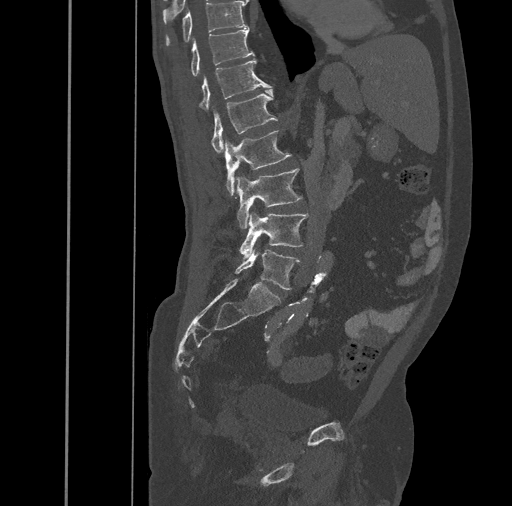 CT spine; sagittal view

<vertebrae><v name="L5" x1="235" y1="249" x2="299" y2="290"/><v name="L4" x1="239" y1="213" x2="308" y2="258"/><v name="L3" x1="237" y1="168" x2="302" y2="228"/><v name="L2" x1="225" y1="131" x2="290" y2="195"/><v name="L1" x1="210" y1="89" x2="277" y2="153"/><v name="T12" x1="199" y1="59" x2="271" y2="111"/><v name="T11" x1="190" y1="28" x2="254" y2="76"/><v name="T10" x1="165" y1="1" x2="246" y2="45"/></vertebrae>